Spine computed tomography. sagittal view. W/L 1800/400 HU. 556x545 px. 8 vertebrae labeled in this scan
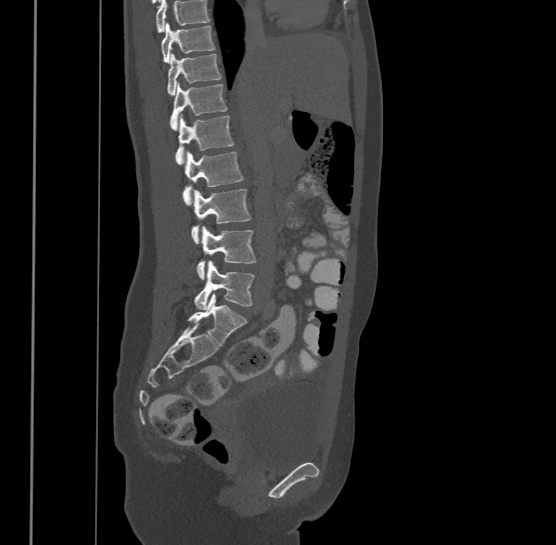 Vertebrae that run past the top of the scan are left unlabeled.
This scan's labels start at T9 at the top and end at L4 at the bottom.
<vertebrae><v name="T9" x1="161" y1="22" x2="215" y2="62"/><v name="T10" x1="167" y1="53" x2="221" y2="94"/><v name="T11" x1="170" y1="81" x2="227" y2="129"/><v name="T12" x1="176" y1="114" x2="233" y2="163"/><v name="L1" x1="182" y1="150" x2="243" y2="204"/><v name="L2" x1="191" y1="188" x2="251" y2="242"/><v name="L3" x1="196" y1="225" x2="256" y2="278"/><v name="L4" x1="194" y1="260" x2="255" y2="310"/></vertebrae>